CT — sagittal reformat — W/L 1800/400 HU — 250x671 px
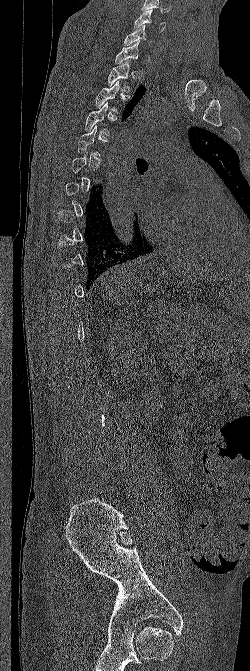 Bounding boxes as [x1, y1, x2, y2] in pixel coordinates.
A vertebra gets a box only on the slices from the first to the last where its cross-section is at least a third of its largest; on a slice outside that range it gets none.
Vertebra bounding boxes:
- C6: [134, 9, 166, 31]
- C7: [123, 24, 154, 46]
- T1: [114, 40, 139, 64]
- T2: [107, 61, 130, 92]